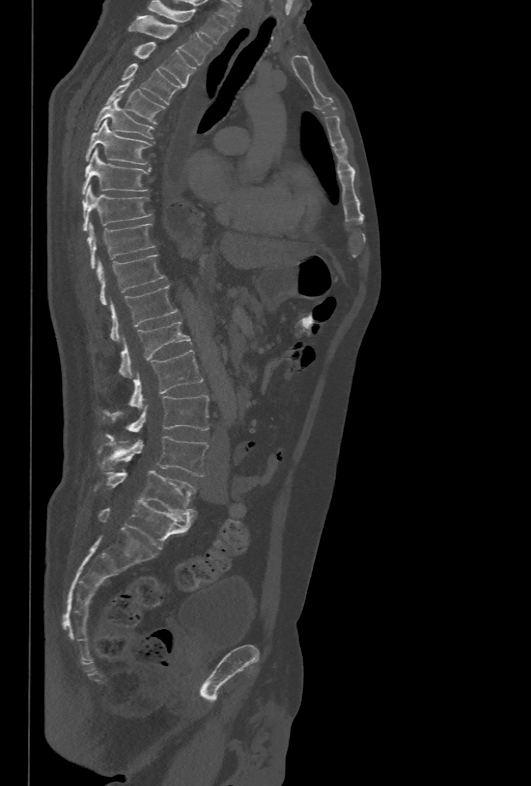

CT · sagittal reformat

Boxes are (x1, y1, x2, y2) in pixels.
T1: (147, 0, 227, 43)
T2: (128, 16, 213, 65)
T3: (133, 42, 196, 86)
T4: (121, 63, 183, 104)
T5: (106, 80, 165, 124)
T6: (94, 98, 154, 138)
T7: (85, 119, 151, 164)
T8: (81, 148, 150, 194)
T9: (83, 185, 153, 231)
T10: (87, 223, 156, 268)
T11: (96, 255, 166, 305)
T12: (110, 285, 177, 343)
L1: (119, 320, 191, 377)
L2: (128, 349, 202, 408)
L3: (106, 395, 209, 439)
L4: (98, 436, 208, 476)
L5: (102, 470, 196, 515)